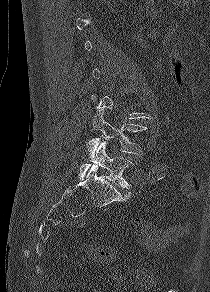 Spine CT · sagittal reformat · 210 mm wide · W/L 1800/400 HU

Each vertebra maps to its box as [x1, y1, x2, y2], the pixel coordinates of its top-left and bottom-right corners.
A vertebra is boxed only from the first to the last slice where its cross-section is at least a third of its largest; slices outside that range leave it without a box.
{"vertebrae":{"L4":[87,109,146,157],"L5":[79,141,134,188]}}